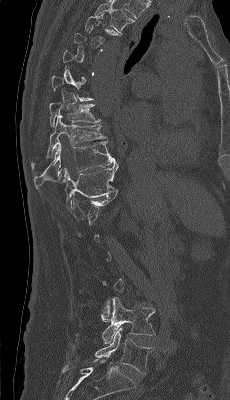
CT, spine · sagittal view

Boxes are (x1, y1, x2, y2) in pixels. A vertebra is boxed only from the first to the last slice where its cross-section is at least a third of its largest; slices outside that range leave it without a box. Vertebrae labeled: L5 at (94, 327, 153, 374), L4 at (76, 297, 155, 344), T11 at (63, 163, 118, 210), T10 at (34, 140, 116, 189), T9 at (31, 115, 106, 170), T8 at (49, 102, 100, 127).